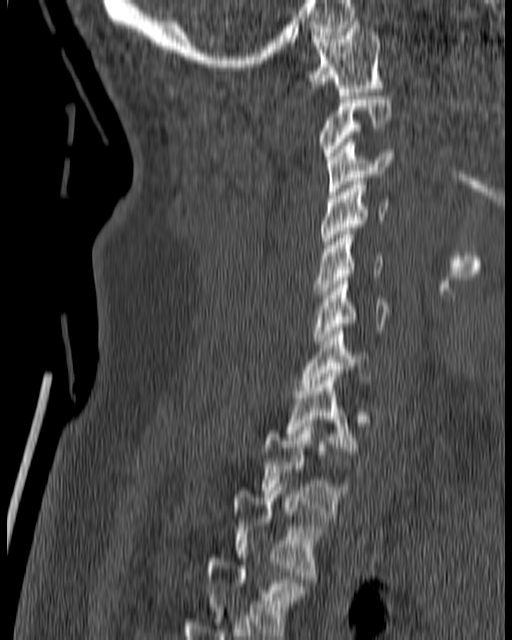
Spine computed tomography · 180 mm image width · sagittal view · W/L 1800/400 HU

Boxes below are [x1, y1, x2, y2] in pixels.
{"vertebrae":{"C1":[306,21,383,95],"C2":[319,96,392,159],"C3":[327,139,392,195],"C4":[322,178,387,248],"C5":[314,231,384,294],"C6":[314,277,390,344],"C7":[300,327,370,390],"T1":[285,377,355,454],"T2":[261,423,347,515],"T3":[231,484,324,579],"T4":[205,555,306,632]}}